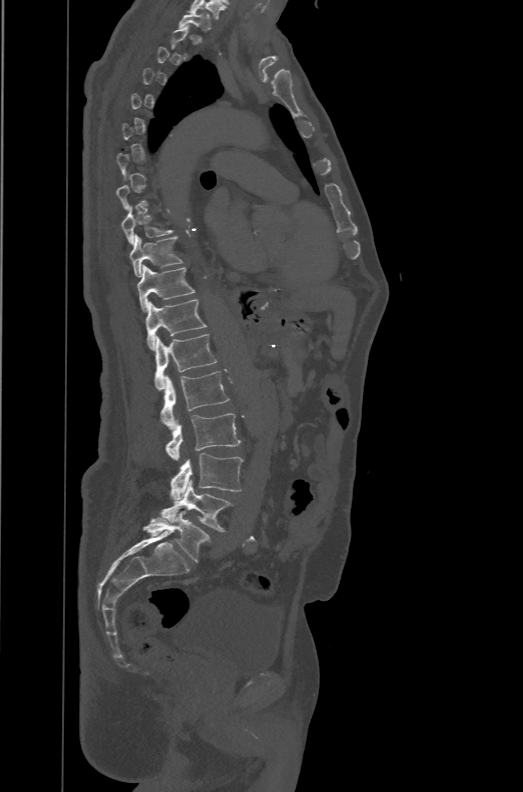
CT, spine; sagittal view. Boxes: x1 y1 x2 y2 (pixel coords, space-separated).
Not every vertebra on this slice has a box: a vertebra is boxed only from the first to the last slice where its cross-section is at least a third of its largest, and this slice is outside that range for at least one of them.
These labels give the spine a sixth lumbar vertebra, L6, below L5.
L6: 142 511 210 562
L5: 160 480 233 531
L4: 170 453 243 500
L3: 165 413 240 460
L2: 159 371 229 431
L1: 154 334 217 390
T12: 145 299 206 350
T11: 137 264 194 314
T10: 130 234 183 277
T9: 121 206 174 245
T1: 178 10 212 30